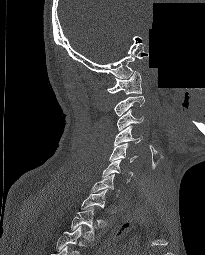 CT, spine. sagittal reformat. part of the image is constant black where the scan was masked
Columns x1, y1, x2, y2 give each box's top-left and bottom-right pixels.
Each vertebra is boxed only on the slices from the first to the last where its cross-section reaches a third of its largest, so a slice outside that range leaves it unboxed.
This scan's labels start at C1 at the top and end at T2 at the bottom.
| vertebra | x1 | y1 | x2 | y2 |
|---|---|---|---|---|
| T2 | 71 | 207 | 94 | 239 |
| C7 | 91 | 173 | 119 | 196 |
| C6 | 102 | 159 | 133 | 183 |
| C5 | 109 | 143 | 138 | 162 |
| C4 | 114 | 126 | 142 | 145 |
| C3 | 116 | 109 | 143 | 130 |
| C2 | 114 | 96 | 144 | 116 |
| C1 | 107 | 71 | 141 | 94 |